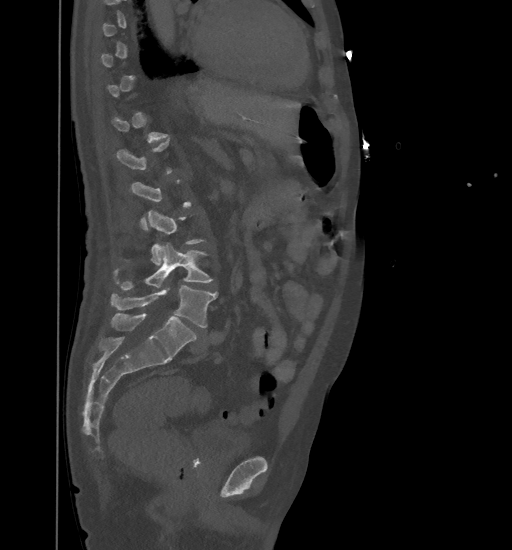 CT; sagittal reformat; bone window
Each box is [x1, y1, x2, y2] in pixels: top-left corner, then bottom-right corner.
A vertebra gets a box only on the slices from the first to the last where its cross-section is at least a third of its largest; on a slice outside that range it gets none.
{"vertebrae":{"L3":[148,210,205,265],"L4":[115,243,213,289],"L5":[111,286,217,327]}}